CT, spine — sagittal plane, index 217 — 512x827 px — 140 mm image width
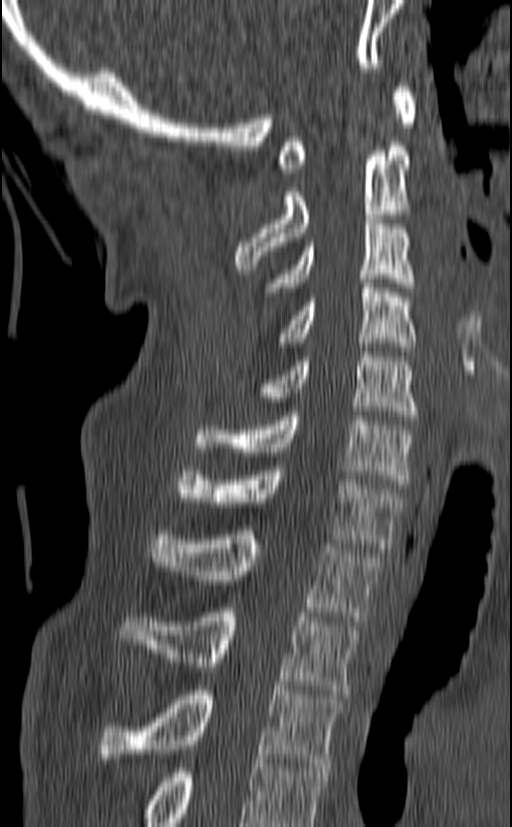
This scan's labels start at C1 at the top and end at T3 at the bottom.
<vertebrae><v name="T3" x1="96" y1="686" x2="342" y2="767"/><v name="T2" x1="118" y1="608" x2="359" y2="694"/><v name="T1" x1="150" y1="530" x2="381" y2="621"/><v name="C7" x1="177" y1="466" x2="403" y2="552"/><v name="C6" x1="195" y1="411" x2="414" y2="488"/><v name="C5" x1="254" y1="352" x2="417" y2="420"/><v name="C4" x1="279" y1="274" x2="417" y2="351"/><v name="C3" x1="265" y1="219" x2="414" y2="292"/><v name="C2" x1="235" y1="146" x2="410" y2="269"/><v name="C1" x1="277" y1="82" x2="417" y2="173"/></vertebrae>